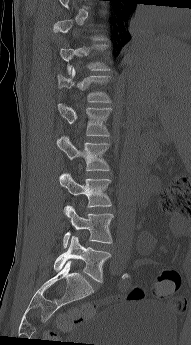

Computed tomography of the spine; sagittal view; the image is 191 mm wide; Bone window (WL 400, WW 1800)
Each vertebra maps to its box as [x1, y1, x2, y2], the pixel coordinates of its top-left and bottom-right corners.
Each vertebra is boxed only on the slices from the first to the last where its cross-section reaches a third of its largest, so a slice outside that range leaves it unboxed.
{"vertebrae":{"T11":[59,44,111,74],"T12":[57,67,111,102],"L1":[58,103,112,136],"L2":[56,136,110,171],"L3":[59,172,111,207],"L4":[63,205,113,248],"L5":[54,236,111,282]}}